Spine CT. sagittal plane, index 179. W/L 1800/400 HU. 512x780 px
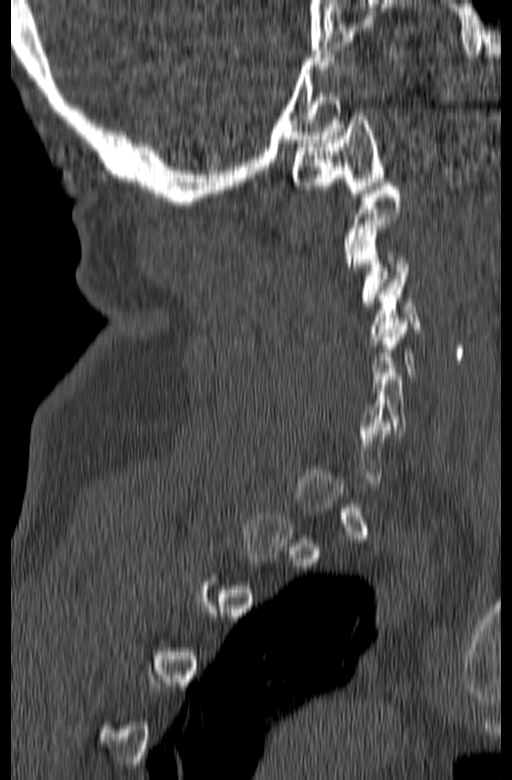
A vertebra gets a box only on the slices from the first to the last where its cross-section is at least a third of its largest; on a slice outside that range it gets none.
<vertebrae><v name="C1" x1="292" y1="112" x2="384" y2="197"/><v name="C3" x1="352" y1="225" x2="410" y2="305"/><v name="C4" x1="370" y1="272" x2="422" y2="344"/></vertebrae>